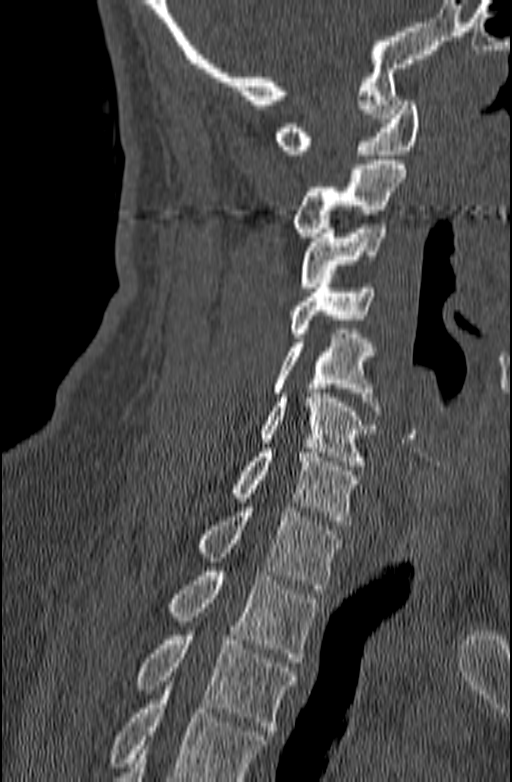

Spine CT. sagittal view
Boxes below are [x1, y1, x2, y2] in pixels.
A vertebra cut off by the bottom edge of the scan is not labeled and has no box.
{"vertebrae":{"T3":[136,631,297,735],"T2":[168,571,318,662],"T1":[195,507,342,589],"C7":[232,448,359,525],"C6":[261,393,376,465],"C5":[274,334,379,410],"C4":[290,274,374,337],"C3":[300,219,387,292],"C2":[290,160,406,237],"C1":[274,101,418,154]}}